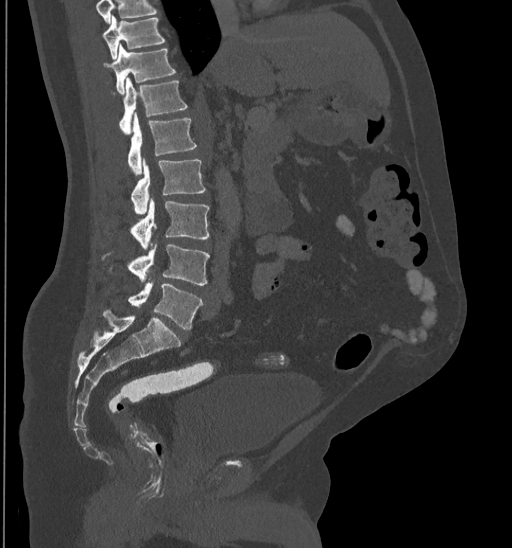

CT; sagittal view; 512x548 px. Bounding boxes as [x1, y1, x2, y2] in pixel coordinates.
A vertebra cut off by the top edge of the scan is not labeled and has no box.
L5: [128, 281, 203, 330]
L4: [128, 242, 210, 285]
L3: [131, 197, 208, 250]
L2: [131, 158, 205, 215]
L1: [127, 114, 197, 175]
T12: [112, 77, 187, 134]
T11: [103, 43, 175, 93]
T10: [102, 15, 165, 58]